Spine computed tomography; Sagittal slice 219/512; 512x653 px
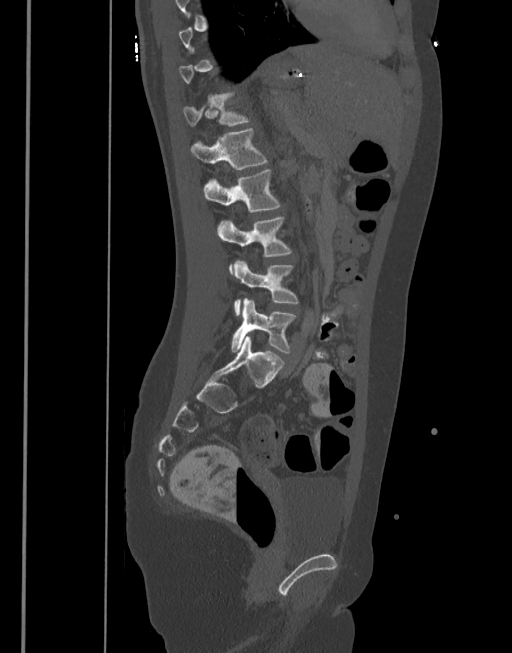

Each box given as x1,y1,x2,y2. Each vertebra is boxed only on the slices from the first to the last where its cross-section reaches a third of its largest, so a slice outside that range leaves it unboxed. 6 vertebrae labeled — T12 at x1=183, y1=93, x2=249, y2=125; L1 at x1=190, y1=128, x2=266, y2=170; L2 at x1=204, y1=170, x2=280, y2=212; L3 at x1=217, y1=216, x2=291, y2=272; L4 at x1=233, y1=259, x2=298, y2=316; L5 at x1=231, y1=298, x2=295, y2=353.